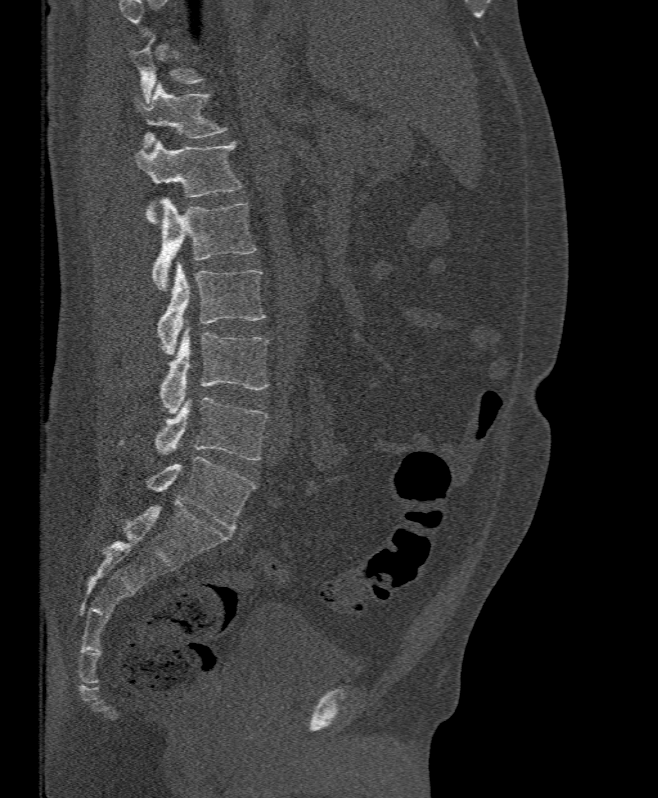 Computed tomography of the spine; sagittal view; image 395 mm wide; W/L 1800/400 HU; 658x798 px
In the table, x1 and y1 are a box's top-left corner and x2 and y2 its bottom-right corner, in pixels.
Not every vertebra on this slice has a box: a vertebra is boxed only from the first to the last slice where its cross-section is at least a third of its largest, and this slice is outside that range for at least one of them.
| vertebra | x1 | y1 | x2 | y2 |
|---|---|---|---|---|
| T12 | 135 | 83 | 225 | 147 |
| L1 | 135 | 141 | 242 | 222 |
| L2 | 152 | 198 | 257 | 291 |
| L3 | 157 | 262 | 265 | 354 |
| L4 | 159 | 325 | 269 | 414 |
| L5 | 154 | 397 | 268 | 461 |